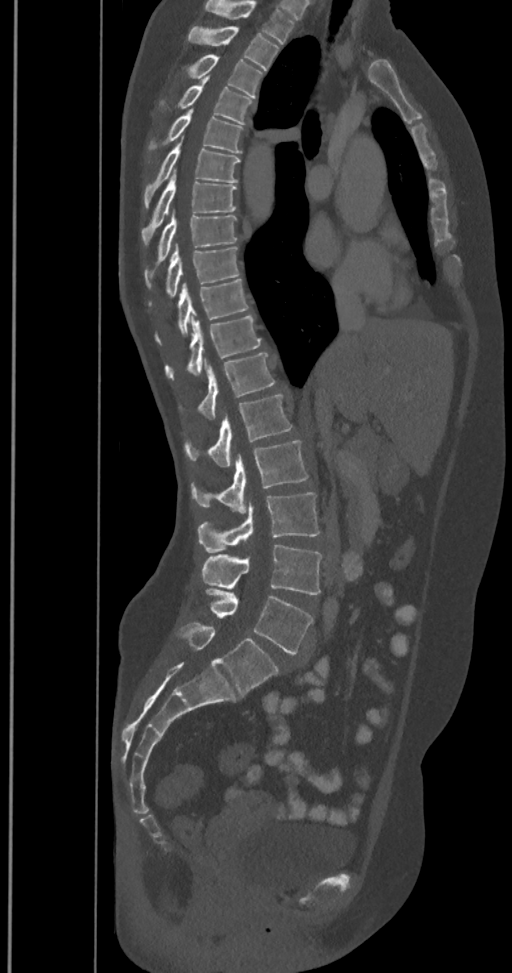

CT spine. sagittal view. 512x973 px. Boxes: x1:y1:x2:y2 in pixels. The highest labeled vertebra in this scan is T2; the lowest is L6. The labels name a sixth lumbar vertebra for this spine: L6, after L5. Vertebrae labeled: L6 at 177:624:278:695, L5 at 205:589:313:655, L4 at 200:545:322:594, L3 at 197:492:319:552, L2 at 191:441:307:512, L1 at 184:394:293:468, T12 at 197:353:275:419, T11 at 165:313:260:378, T10 at 156:279:249:343, T9 at 149:245:239:304, T8 at 145:211:237:285, T7 at 142:170:236:245, T6 at 143:140:240:207, T5 at 149:108:243:153, T4 at 161:76:253:124, T3 at 188:54:262:98, T2 at 187:26:278:71.